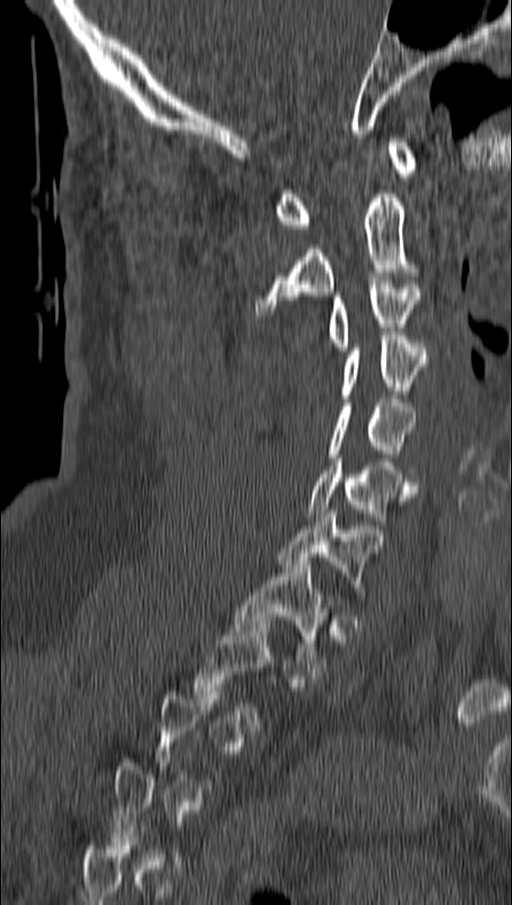

CT, spine · sagittal view · the image is 162 mm wide · W/L 1800/400 HU. Boxes: x1 y1 x2 y2 (pixel coords, space-separated).
Not every vertebra on this slice has a box: a vertebra is boxed only from the first to the last slice where its cross-section is at least a third of its largest, and this slice is outside that range for at least one of them.
C1: 273 138 416 232
C2: 254 190 424 315
C3: 327 280 420 351
C4: 339 336 427 398
C5: 327 399 417 481
C6: 308 458 417 524
C7: 276 510 370 596
T1: 232 561 332 675
T2: 194 620 278 726